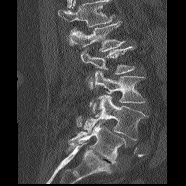
Spine CT · sagittal view · 186 mm across the image · bone window · 186x186 px
Bounding boxes as [x1, y1, x2, y2] in pixel coordinates. Where the top of the scan cuts through a vertebra, that vertebra gets no label or box. 5 vertebrae labeled — L5 at [68, 116, 126, 165]; L4 at [83, 95, 147, 140]; L3 at [95, 70, 146, 104]; L2 at [81, 46, 135, 91]; L1 at [68, 21, 125, 52].